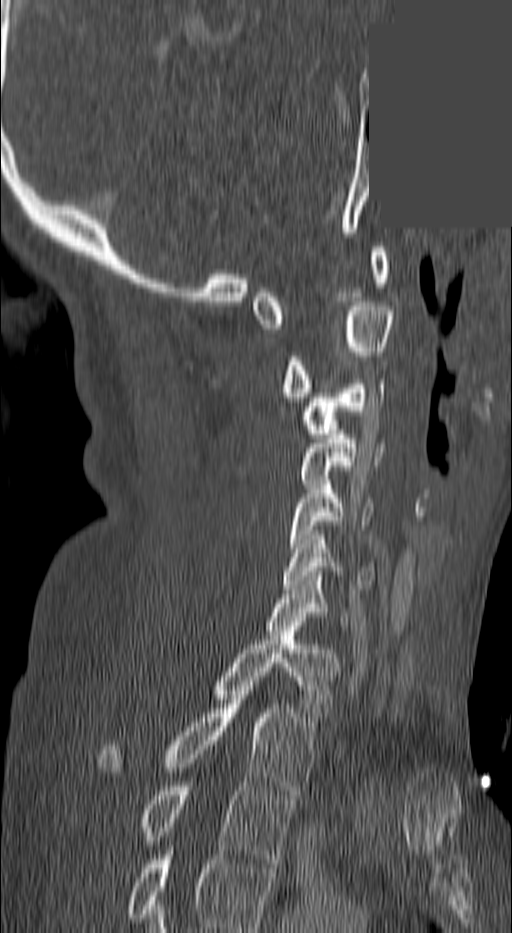
CT; the image is 140 mm wide; sagittal view; W/L 1800/400 HU; 512x933 px; a region is masked with a constant gray value

Bounding boxes as [x1, y1, x2, y2] in pixel coordinates.
The highest labeled vertebra in this scan is C1; the lowest is T3.
C1: [251, 247, 388, 328]
C2: [279, 302, 392, 401]
C3: [301, 379, 384, 438]
C4: [297, 430, 381, 484]
C5: [287, 480, 373, 552]
C6: [283, 535, 375, 589]
C7: [261, 576, 348, 630]
T1: [213, 631, 337, 721]
T2: [100, 681, 315, 794]
T3: [140, 782, 293, 863]